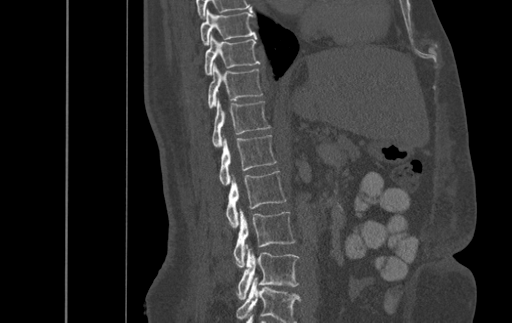 CT spine; sagittal reformat; the image is 500 mm wide; Bone window (WL 400, WW 1800); 512x323 px

Boxes below are [x1, y1, x2, y2] in pixels.
The highest labeled vertebra in this scan is T9; the lowest is L4.
{"vertebrae":{"T9":[200,8,255,45],"T10":[205,34,259,75],"T11":[208,62,262,108],"T12":[212,97,270,146],"L1":[219,135,275,185],"L2":[226,171,286,227],"L3":[234,209,295,267],"L4":[238,244,298,299]}}